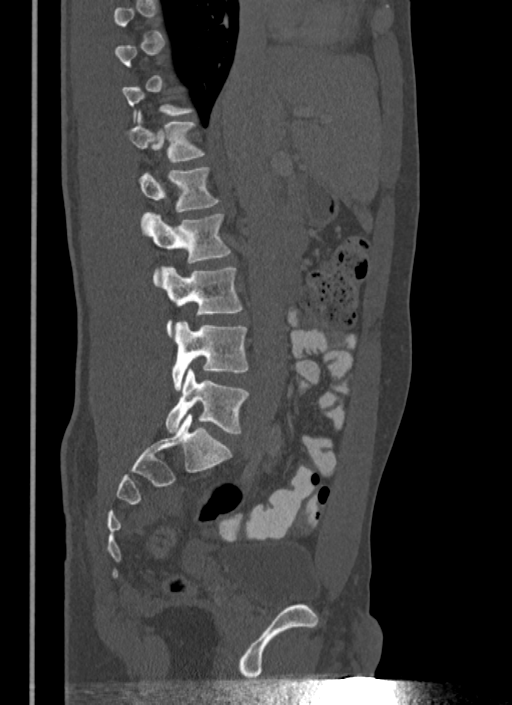
Spine computed tomography. sagittal view. 512x705 px. image 340 mm wide
A vertebra is boxed only from the first to the last slice where its cross-section is at least a third of its largest; slices outside that range leave it without a box.
<vertebrae><v name="T12" x1="128" y1="113" x2="205" y2="162"/><v name="L1" x1="139" y1="167" x2="220" y2="211"/><v name="L2" x1="144" y1="212" x2="231" y2="285"/><v name="L3" x1="164" y1="267" x2="243" y2="336"/><v name="L4" x1="171" y1="321" x2="249" y2="391"/><v name="L5" x1="165" y1="369" x2="249" y2="434"/></vertebrae>